Spine computed tomography. 230 mm image width. sagittal reformat. 230x400 px
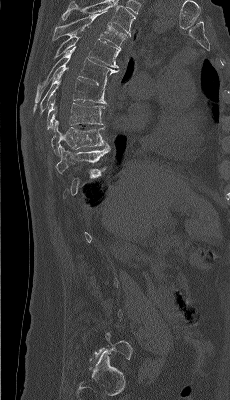 Box edges are left/top/right/bottom in pixels.
Each vertebra is boxed only on the slices from the first to the last where its cross-section reaches a third of its largest, so a slice outside that range leaves it unboxed.
This scan's labels start at T4 at the top and end at L5 at the bottom.
| vertebra | x1 | y1 | x2 | y2 |
|---|---|---|---|---|
| T4 | 52 | 10 | 129 | 47 |
| T5 | 54 | 26 | 121 | 68 |
| T6 | 35 | 47 | 118 | 102 |
| T7 | 33 | 68 | 106 | 112 |
| T8 | 47 | 98 | 104 | 129 |
| T9 | 51 | 120 | 108 | 155 |
| T10 | 56 | 146 | 110 | 174 |